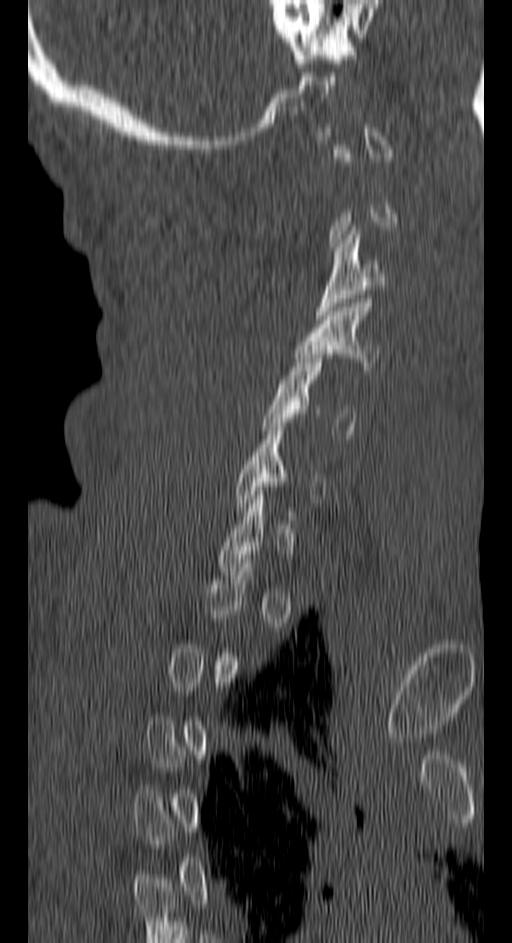

CT spine · sagittal reformat · Bone window (WL 400, WW 1800). Each box given as x1,y1,x2,y2. A vertebra is boxed only from the first to the last slice where its cross-section is at least a third of its largest; slices outside that range leave it without a box. The labeled vertebrae in this slice are: C3 at x1=316, y1=226, x2=386, y2=319, C4 at x1=294, y1=299, x2=379, y2=370, C5 at x1=264, y1=354, x2=355, y2=434.